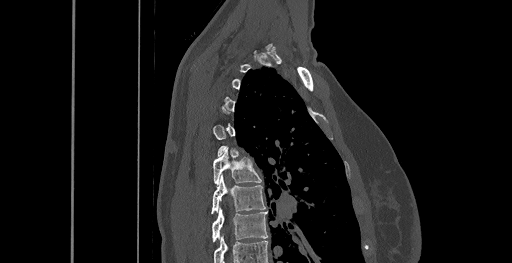

Computed tomography of the spine. sagittal view. 512x263 px
Boxes are (x1, y1, x2, y2) in pixels.
A vertebra is boxed only from the first to the last slice where its cross-section is at least a third of its largest; slices outside that range leave it without a box.
In this scan, the topmost labeled vertebra is C6 and the lowest is T8.
T8: (212, 209, 268, 242)
T7: (211, 175, 265, 213)
T6: (213, 149, 261, 183)